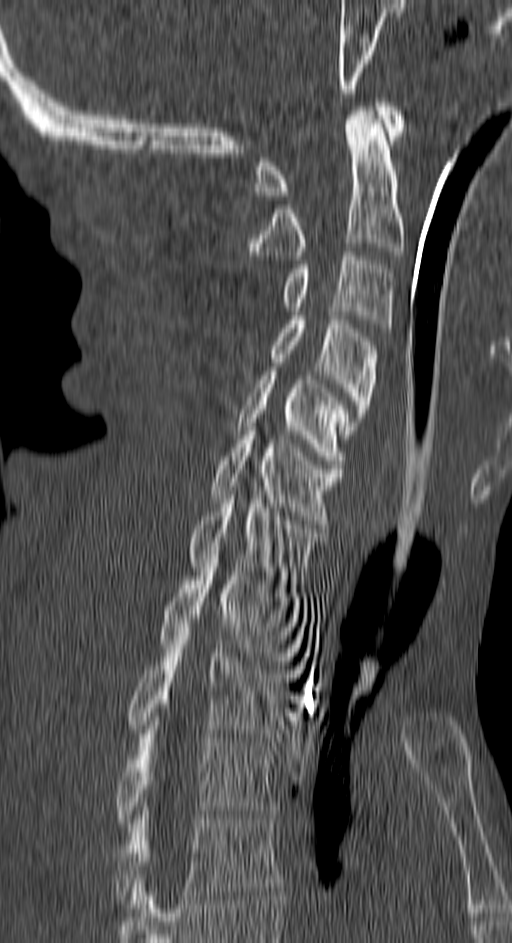
CT. sagittal view. bone-window reconstruction. image width 150 mm
Each box given as x1,y1,x2,y2. 11 vertebrae labeled — C1 at x1=256, y1=102, x2=403, y2=195; C2 at x1=250, y1=107, x2=403, y2=259; C3 at x1=285, y1=252, x2=393, y2=332; C4 at x1=271, y1=316, x2=376, y2=438; C5 at x1=237, y1=371, x2=350, y2=468; C6 at x1=209, y1=427, x2=342, y2=524; C7 at x1=189, y1=491, x2=324, y2=588; T1 at x1=158, y1=559, x2=302, y2=665; T2 at x1=128, y1=627, x2=288, y2=737; T3 at x1=117, y1=730, x2=277, y2=822; T4 at x1=114, y1=811, x2=280, y2=908.